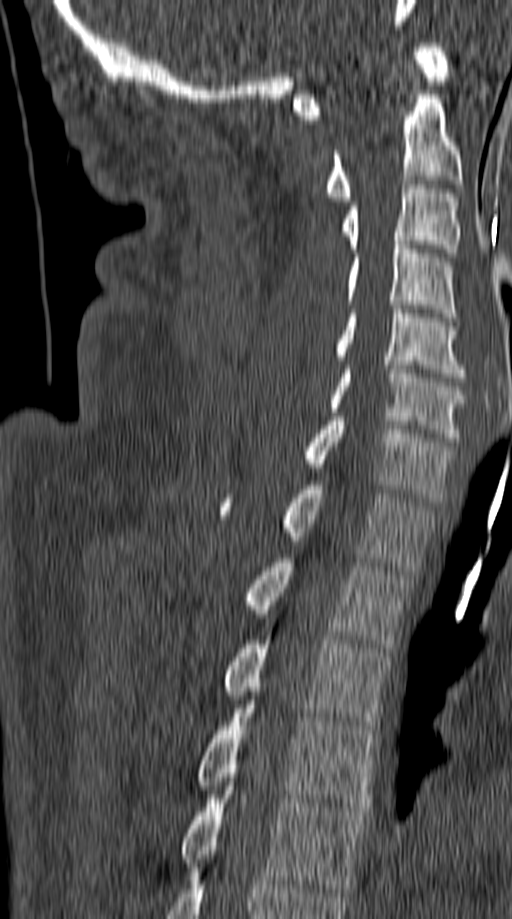

Computed tomography of the spine. sagittal reformat. Coordinates as <box>x1,y1,x2,y2</box>.
C1: <box>294,43,449,119</box>
C2: <box>325,94,462,201</box>
C3: <box>341,180,461,257</box>
C4: <box>346,241,457,321</box>
C5: <box>335,305,464,377</box>
C6: <box>329,365,468,441</box>
C7: <box>304,417,454,502</box>
T1: <box>219,481,433,570</box>
T2: <box>245,558,409,652</box>
T3: <box>225,640,389,729</box>
T4: <box>197,704,375,811</box>
T5: <box>180,782,367,892</box>